CT, spine · Sagittal slice 265/512 · W/L 1800/400 HU
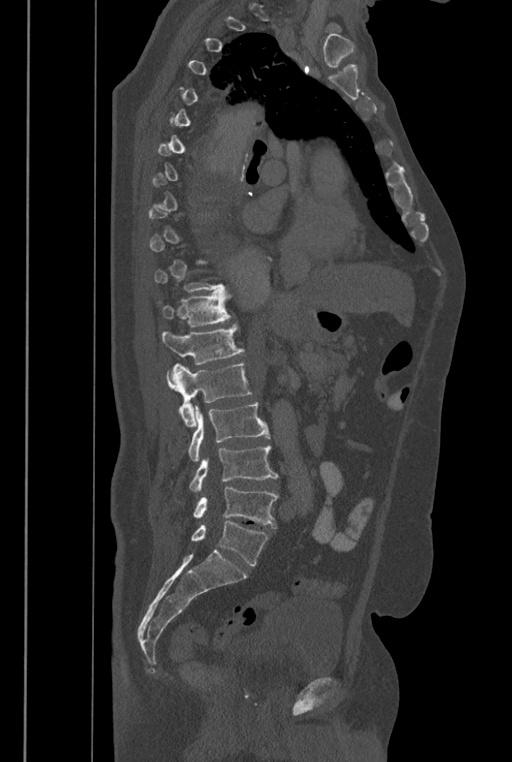

Bounding boxes as [x1, y1, x2, y2] in pixel coordinates.
Each vertebra is boxed only on the slices from the first to the last where its cross-section reaches a third of its largest, so a slice outside that range leaves it unboxed.
The labels name a sixth lumbar vertebra for this spine: L6, after L5.
Vertebra bounding boxes:
- L6: [190, 521, 268, 565]
- L5: [193, 487, 278, 527]
- L4: [189, 445, 278, 493]
- L3: [188, 402, 270, 461]
- L2: [166, 363, 251, 427]
- L1: [162, 324, 243, 365]
- T12: [162, 291, 234, 327]